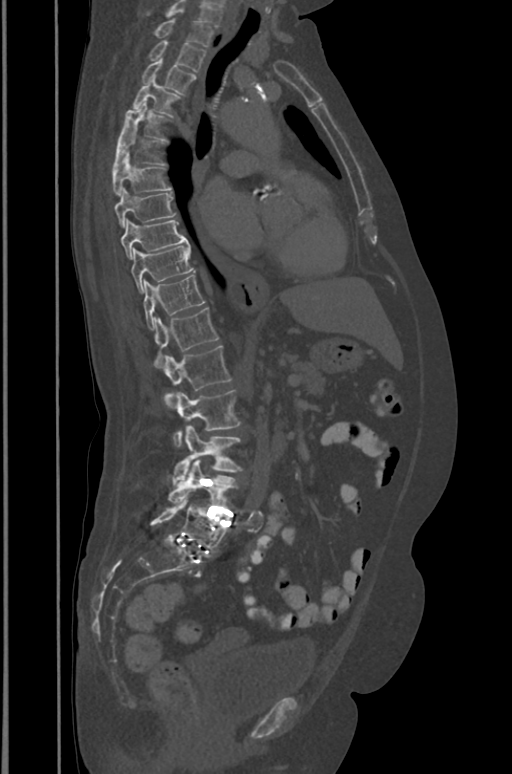

Spine CT · sagittal view · Bone window (WL 400, WW 1800)
Coordinates as <box>x1,y1,x2,y2</box>.
This scan's labels start at T1 at the top and end at L5 at the bottom.
Vertebra bounding boxes:
- L5: <box>151,495,227,553</box>
- L4: <box>169,459,236,506</box>
- L3: <box>173,426,241,484</box>
- L2: <box>173,390,240,447</box>
- L1: <box>162,345,231,406</box>
- T12: <box>154,307,218,367</box>
- T11: <box>143,275,205,328</box>
- T10: <box>131,244,193,294</box>
- T9: <box>120,219,189,258</box>
- T8: <box>114,190,174,227</box>
- T7: <box>113,155,171,195</box>
- T6: <box>113,130,163,169</box>
- T5: <box>118,102,163,143</box>
- T4: <box>134,77,178,113</box>
- T3: <box>141,59,195,94</box>
- T2: <box>149,40,206,71</box>
- T1: <box>154,19,212,47</box>